CT — Sagittal slice 303/512 — 512x789 px — 14 vertebrae labeled in this scan
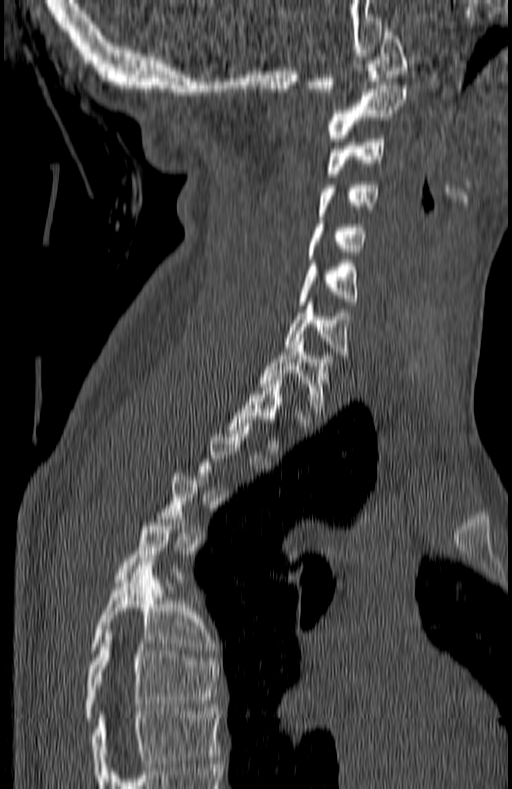

Bounding boxes as [x1, y1, x2, y2] in pixel coordinates.
A vertebra is boxed only from the first to the last slice where its cross-section is at least a third of its largest; slices outside that range leave it without a box.
This scan's labels start at C1 at the top and end at T7 at the bottom.
C1: [309, 28, 407, 91]
C2: [328, 85, 407, 141]
C3: [327, 139, 384, 177]
C4: [319, 181, 378, 216]
C5: [308, 220, 367, 259]
C6: [300, 260, 358, 305]
C7: [285, 302, 347, 355]
T1: [260, 338, 331, 411]
T6: [92, 562, 209, 653]
T7: [86, 629, 218, 721]